CT. sagittal plane, index 205
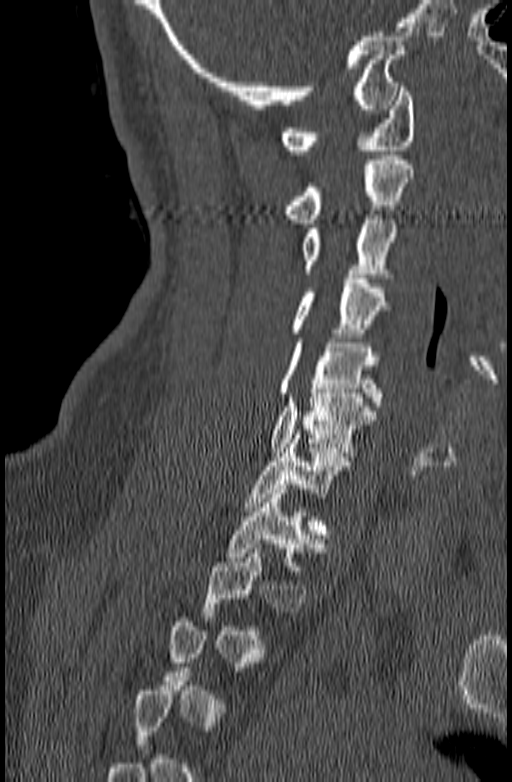
Not every vertebra on this slice has a box: a vertebra is boxed only from the first to the last slice where its cross-section is at least a third of its largest, and this slice is outside that range for at least one of them.
<vertebrae><v name="C1" x1="282" y1="87" x2="415" y2="154"/><v name="C2" x1="287" y1="155" x2="414" y2="223"/><v name="C3" x1="301" y1="215" x2="397" y2="278"/><v name="C4" x1="290" y1="274" x2="388" y2="337"/><v name="C5" x1="278" y1="338" x2="381" y2="406"/><v name="C6" x1="269" y1="389" x2="376" y2="456"/><v name="C7" x1="244" y1="434" x2="351" y2="511"/><v name="T1" x1="226" y1="489" x2="325" y2="570"/></vertebrae>